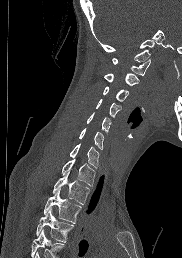

Spine CT — sagittal view — image width 182 mm — bone window — 182x258 px
Box edges are left/top/right/bottom in pixels.
Vertebrae that run past the bottom of the scan are left unlabeled.
Vertebra bounding boxes:
- C1: left=112, top=58, right=150, bottom=75
- C2: left=104, top=73, right=138, bottom=85
- C3: left=103, top=86, right=128, bottom=102
- C4: left=96, top=99, right=120, bottom=118
- C5: left=86, top=112, right=111, bottom=133
- C6: left=79, top=128, right=103, bottom=149
- C7: left=69, top=144, right=99, bottom=168
- T1: left=61, top=158, right=95, bottom=186
- T2: left=52, top=170, right=89, bottom=204
- T3: left=43, top=189, right=81, bottom=223
- T4: left=36, top=208, right=73, bottom=242